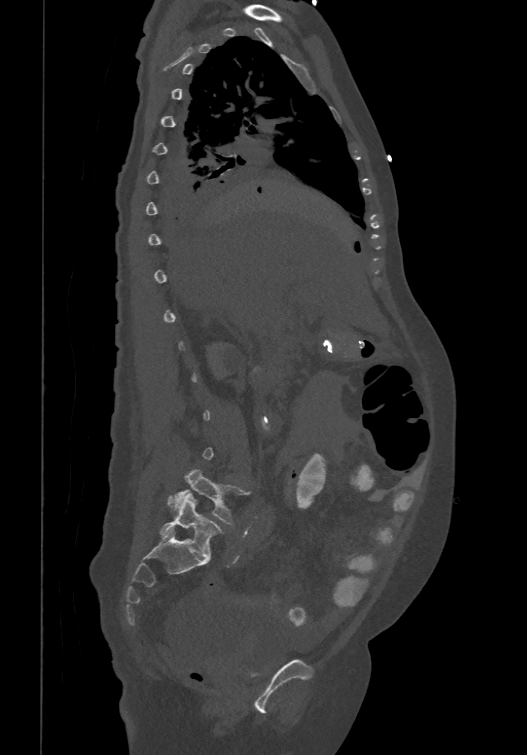

CT — sagittal reformat — image width 474 mm

Bounding boxes as [x1, y1, x2, y2] in pixel coordinates.
Each vertebra is boxed only on the slices from the first to the last where its cross-section reaches a third of its largest, so a slice outside that range leaves it unboxed.
These labels give the spine a sixth lumbar vertebra, L6, below L5.
Vertebra bounding boxes:
- L5: [168, 469, 246, 524]
- L6: [159, 493, 222, 557]